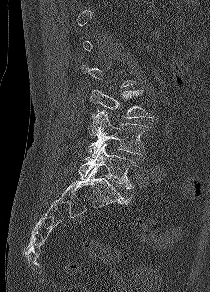

CT — sagittal view — 210 mm across the image
Each vertebra is boxed only on the slices from the first to the last where its cross-section reaches a third of its largest, so a slice outside that range leaves it unboxed.
<vertebrae><v name="L3" x1="90" y1="89" x2="153" y2="118"/><v name="L4" x1="86" y1="110" x2="148" y2="158"/><v name="L5" x1="79" y1="142" x2="136" y2="189"/></vertebrae>